Spine CT — sagittal view — Bone window (WL 400, WW 1800) — 512x695 px — scan covers 9 annotated vertebrae
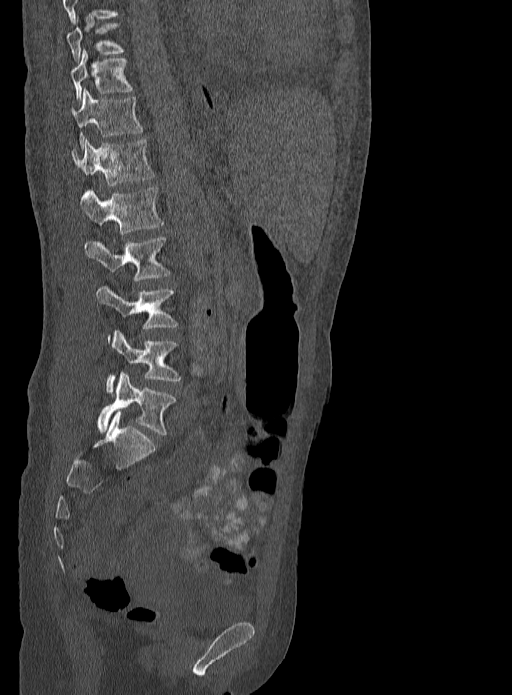 Each vertebra maps to its box as [x1, y1, x2, y2], the pixel coordinates of its top-left and bottom-right corners.
{"vertebrae":{"T9":[67,15,125,62],"T10":[70,49,132,102],"T11":[74,89,143,147],"T12":[72,138,154,185],"L1":[81,186,163,234],"L2":[84,237,171,280],"L3":[97,284,179,343],"L4":[105,331,182,393],"L5":[98,372,177,436]}}